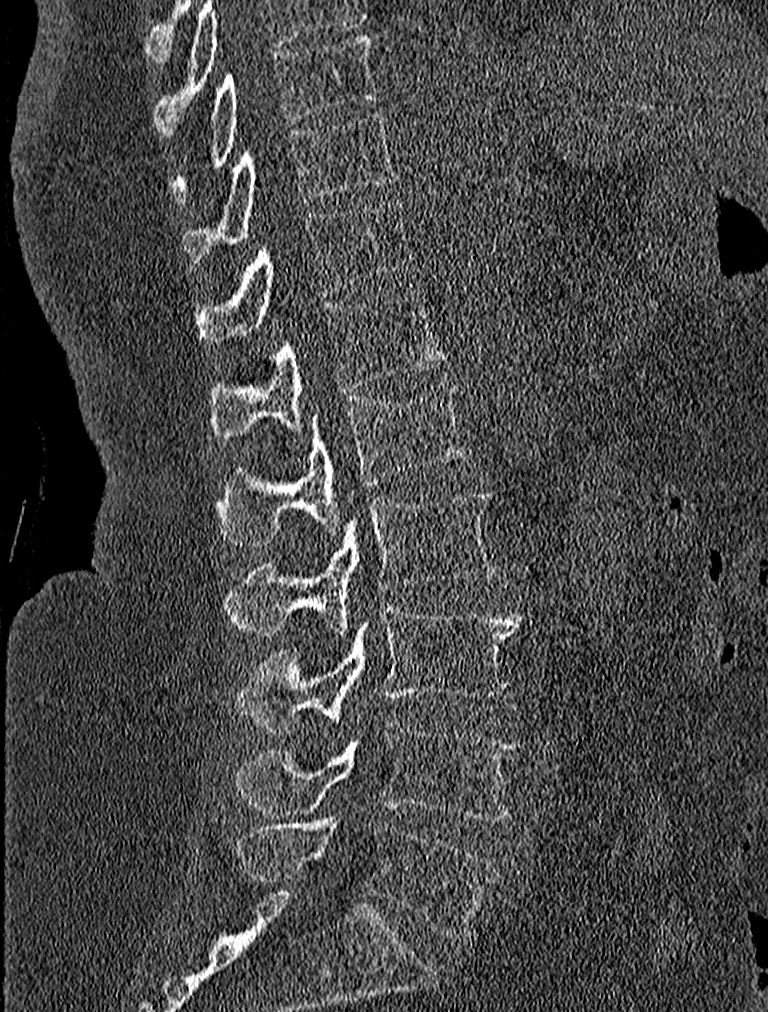 CT · 227 mm image width · sagittal view
<vertebrae><v name="T9" x1="171" y1="33" x2="377" y2="198"/><v name="T10" x1="182" y1="111" x2="397" y2="262"/><v name="T11" x1="195" y1="199" x2="414" y2="351"/><v name="T12" x1="209" y1="288" x2="448" y2="439"/><v name="L1" x1="215" y1="382" x2="471" y2="546"/><v name="L2" x1="225" y1="487" x2="495" y2="637"/><v name="L3" x1="236" y1="600" x2="522" y2="731"/><v name="L4" x1="232" y1="722" x2="521" y2="820"/><v name="L5" x1="236" y1="818" x2="499" y2="938"/></vertebrae>